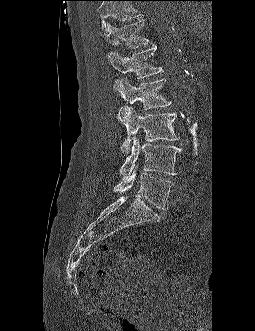

Spine CT — sagittal view — 255x331 px
Boxes: x1:y1:x2:y2 in pixels. Where the top of the scan cuts through a vertebra, that vertebra gets no label or box. 6 vertebrae labeled — L5 at 114:164:172:209; L4 at 119:136:180:179; L3 at 118:106:179:152; L2 at 113:78:171:109; L1 at 110:44:163:78; T12 at 104:20:149:48.